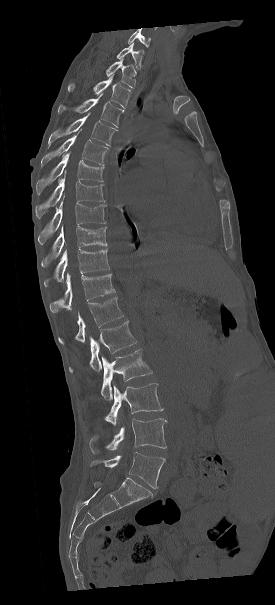
CT spine — sagittal view — Bone window (WL 400, WW 1800) — 275x605 px
The highest labeled vertebra in this scan is C7; the lowest is L5.
<vertebrae><v name="L5" x1="91" y1="452" x2="165" y2="488"/><v name="L4" x1="90" y1="418" x2="166" y2="454"/><v name="L3" x1="104" y1="383" x2="163" y2="428"/><v name="L2" x1="101" y1="349" x2="152" y2="401"/><v name="L1" x1="69" y1="321" x2="136" y2="371"/><v name="T12" x1="58" y1="297" x2="123" y2="344"/><v name="T11" x1="49" y1="273" x2="114" y2="312"/><v name="T10" x1="44" y1="250" x2="109" y2="286"/><v name="T9" x1="41" y1="226" x2="106" y2="266"/><v name="T8" x1="37" y1="201" x2="105" y2="244"/><v name="T7" x1="35" y1="170" x2="104" y2="218"/><v name="T6" x1="35" y1="152" x2="103" y2="194"/><v name="T5" x1="40" y1="129" x2="108" y2="167"/><v name="T4" x1="48" y1="113" x2="116" y2="148"/><v name="T3" x1="58" y1="93" x2="124" y2="127"/><v name="T2" x1="68" y1="75" x2="131" y2="108"/><v name="T1" x1="106" y1="58" x2="136" y2="88"/><v name="C7" x1="117" y1="42" x2="143" y2="68"/></vertebrae>